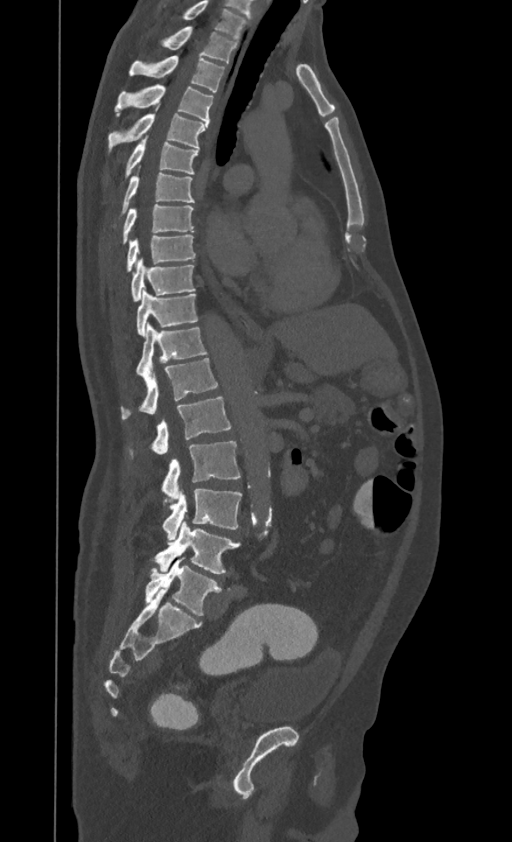
Spine CT. sagittal view. bone window
Box edges are left/top/right/bottom in pixels.
This scan's labels start at T1 at the top and end at L4 at the bottom.
| vertebra | x1 | y1 | x2 | y2 |
|---|---|---|---|---|
| T1 | 161 | 26 | 237 | 62 |
| T2 | 129 | 56 | 224 | 92 |
| T3 | 115 | 84 | 213 | 124 |
| T4 | 109 | 105 | 208 | 148 |
| T5 | 126 | 136 | 198 | 176 |
| T6 | 122 | 167 | 193 | 212 |
| T7 | 123 | 204 | 193 | 243 |
| T8 | 127 | 234 | 195 | 271 |
| T9 | 131 | 258 | 195 | 301 |
| T10 | 137 | 289 | 197 | 336 |
| T11 | 136 | 323 | 206 | 376 |
| T12 | 122 | 358 | 217 | 419 |
| L1 | 152 | 397 | 231 | 454 |
| L2 | 162 | 441 | 240 | 502 |
| L3 | 162 | 489 | 241 | 539 |
| L4 | 154 | 521 | 240 | 573 |